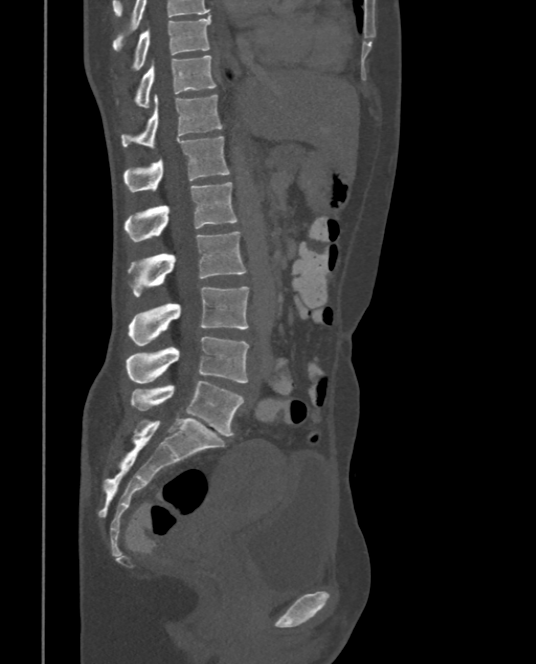

Computed tomography of the spine. sagittal view
Labels in this scan begin with T9 at the top and end with L5 at the bottom.
<vertebrae><v name="L5" x1="131" y1="380" x2="243" y2="436"/><v name="L4" x1="126" y1="336" x2="249" y2="383"/><v name="L3" x1="129" y1="286" x2="249" y2="346"/><v name="L2" x1="127" y1="231" x2="246" y2="296"/><v name="L1" x1="125" y1="181" x2="238" y2="242"/><v name="T12" x1="125" y1="136" x2="229" y2="192"/><v name="T11" x1="121" y1="94" x2="222" y2="149"/><v name="T10" x1="136" y1="56" x2="216" y2="107"/><v name="T9" x1="134" y1="16" x2="210" y2="69"/></vertebrae>